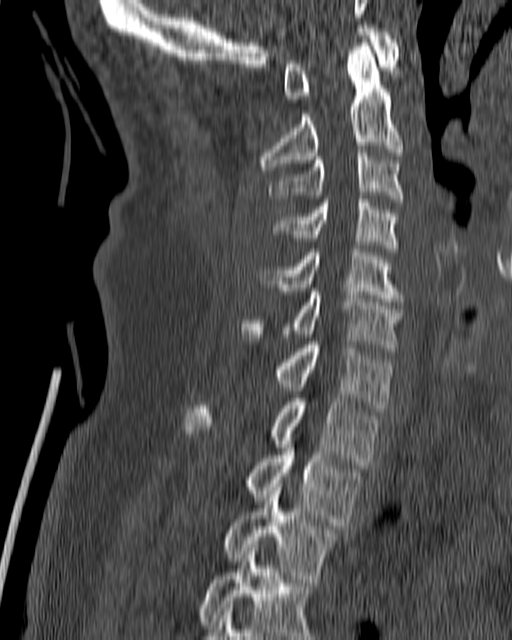 CT, spine. the image is 180 mm wide. sagittal view

Box edges are left/top/right/bottom in pixels.
Vertebra bounding boxes:
- C1: left=283, top=25, right=400, bottom=102
- C2: left=260, top=36, right=402, bottom=173
- C3: left=269, top=149, right=404, bottom=202
- C4: left=274, top=196, right=398, bottom=251
- C5: left=260, top=245, right=403, bottom=301
- C6: left=239, top=288, right=401, bottom=347
- C7: left=274, top=341, right=392, bottom=411
- T1: left=183, top=398, right=378, bottom=465
- T2: left=246, top=434, right=361, bottom=525
- T3: left=223, top=484, right=338, bottom=579
- T4: left=198, top=544, right=313, bottom=639